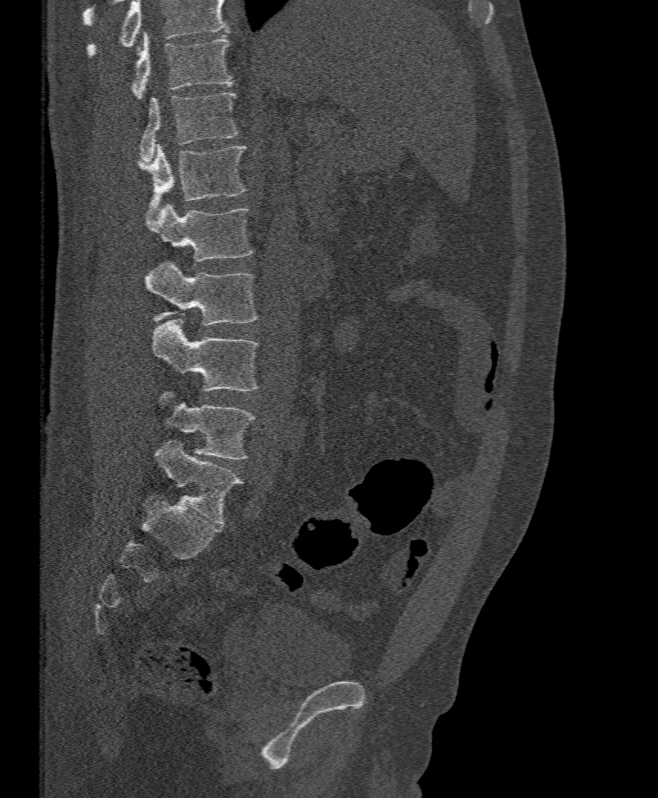 CT, spine. sagittal view. bone-window reconstruction. Box edges are left/top/right/bottom in pixels.
No box is given to a vertebra that the top edge of the scan cuts off.
| vertebra | x1 | y1 | x2 | y2 |
|---|---|---|---|---|
| L5 | 159 | 391 | 255 | 459 |
| L4 | 152 | 319 | 259 | 391 |
| L3 | 145 | 262 | 257 | 326 |
| L2 | 147 | 203 | 252 | 261 |
| L1 | 139 | 145 | 246 | 218 |
| T12 | 140 | 93 | 239 | 162 |
| T11 | 131 | 33 | 232 | 99 |